Spine CT — sagittal view — bone window
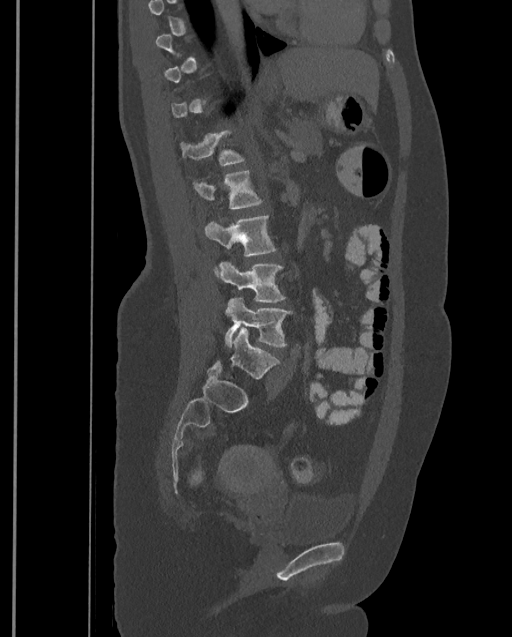 Each row gives a vertebra's box as x1, y1, x2, y2 in pixels: top-left corner, then bottom-right corner.
A vertebra is boxed only from the first to the last slice where its cross-section is at least a third of its largest; slices outside that range leave it without a box.
The highest labeled vertebra in this scan is T9; the lowest is L4.
| vertebra | x1 | y1 | x2 | y2 |
|---|---|---|---|---|
| L4 | 224 | 298 | 293 | 348 |
| L3 | 218 | 262 | 286 | 302 |
| L2 | 205 | 216 | 276 | 278 |
| L1 | 192 | 170 | 263 | 209 |
| T12 | 179 | 129 | 245 | 165 |